CT, spine. sagittal reformat
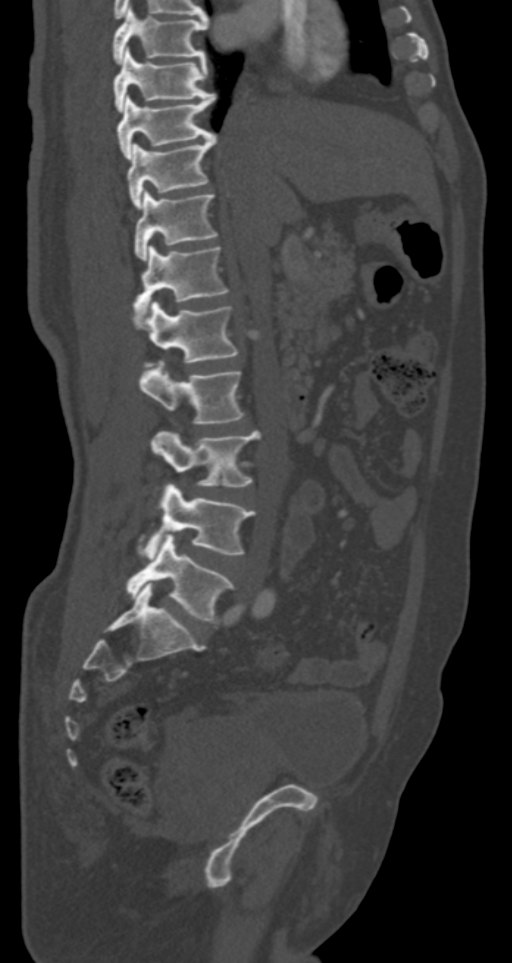
Bounding boxes as [x1, y1, x2, y2] in pixel coordinates. Vertebrae labeled: T7 at [112, 5, 207, 63], T8 at [114, 47, 213, 111], T9 at [117, 94, 214, 159], T10 at [126, 135, 216, 208], T11 at [135, 189, 216, 259], T12 at [133, 246, 229, 316], L1 at [141, 301, 238, 362], L2 at [139, 362, 243, 424], L3 at [149, 430, 259, 486], L4 at [137, 483, 255, 558], L5 at [126, 534, 234, 623].